Spine computed tomography; sagittal view; bone-window reconstruction; 512x712 px; 18 vertebrae labeled in this scan; 350 mm across the image
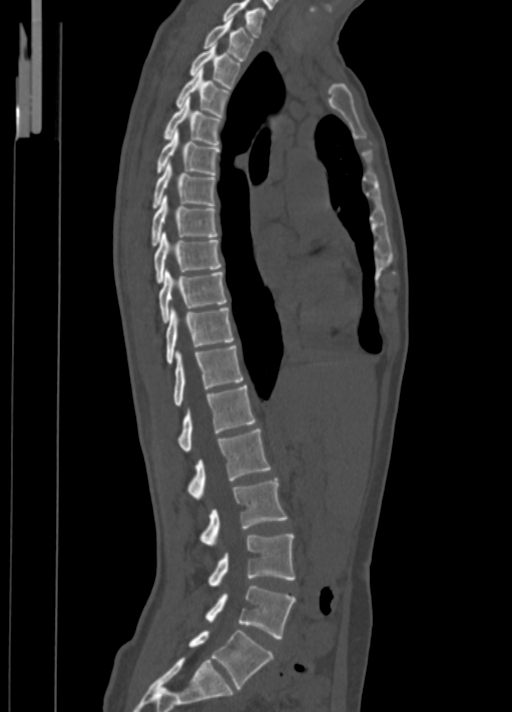

Each box given as x1,y1,x2,y2.
Vertebra bounding boxes:
- C7: x1=222, y1=0, x2=265, y2=37
- T1: x1=203, y1=19, x2=253, y2=60
- T2: x1=190, y1=44, x2=240, y2=88
- T3: x1=175, y1=67, x2=230, y2=116
- T4: x1=164, y1=97, x2=221, y2=145
- T5: x1=156, y1=130, x2=220, y2=175
- T6: x1=152, y1=162, x2=215, y2=208
- T7: x1=152, y1=196, x2=217, y2=246
- T8: x1=153, y1=231, x2=221, y2=283
- T9: x1=159, y1=269, x2=227, y2=322
- T10: x1=167, y1=307, x2=233, y2=363
- T11: x1=172, y1=345, x2=243, y2=406
- T12: x1=178, y1=385, x2=255, y2=452
- L1: x1=187, y1=429, x2=271, y2=499
- L2: x1=200, y1=478, x2=287, y2=546
- L3: x1=209, y1=534, x2=294, y2=587
- L4: x1=206, y1=585, x2=296, y2=638
- L5: x1=188, y1=630, x2=272, y2=688